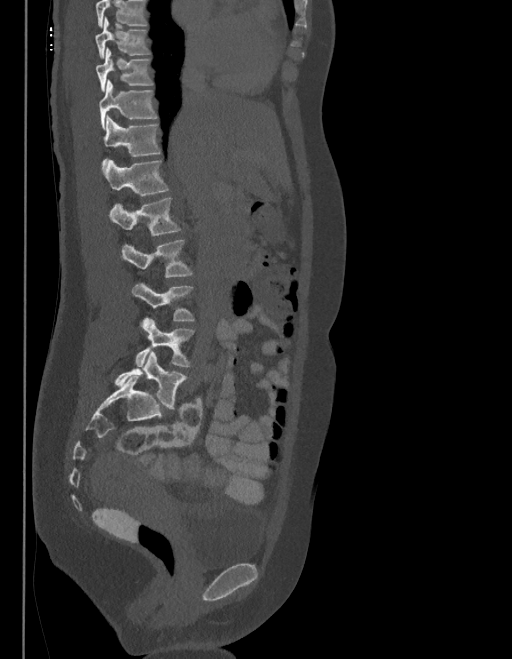
CT, spine · sagittal view · bone-window reconstruction · 512x659 px
Each vertebra maps to its box as [x1, y1, x2, y2], the pixel coordinates of its top-left and bottom-right corners.
No box is given to a vertebra that the top edge of the scan cuts off.
These labels give the spine a sixth lumbar vertebra, L6, below L5.
{"vertebrae":{"L6":[114,351,186,408],"L5":[136,318,193,367],"L4":[132,282,193,321],"L3":[121,239,192,277],"L2":[109,198,179,236],"L1":[103,161,168,196],"T12":[103,117,160,166],"T11":[99,81,156,128],"T10":[95,48,153,92],"T9":[95,17,149,58]}}